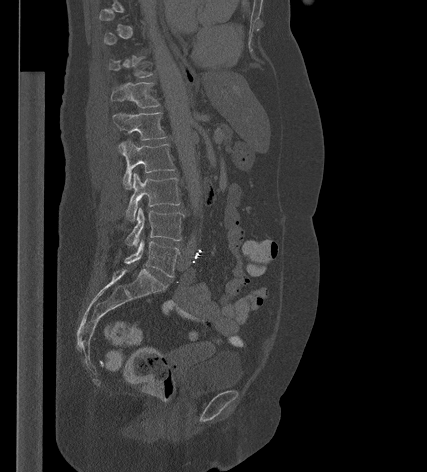

Spine CT · sagittal view · Bone window (WL 400, WW 1800)
Bounding boxes as [x1, y1, x2, y2] in pixel coordinates. A vertebra gets a box only on the slices from the first to the last where its cross-section is at least a third of its largest; on a slice outside that range it gets none. 7 vertebrae labeled — T11 at [109, 56, 153, 77]; T12 at [111, 82, 160, 107]; L1 at [113, 112, 167, 140]; L2 at [118, 140, 175, 189]; L3 at [126, 173, 180, 221]; L4 at [125, 207, 184, 246]; L5 at [124, 241, 180, 276].